Spine CT. sagittal view. 512x642 px. 9 vertebrae labeled in this scan
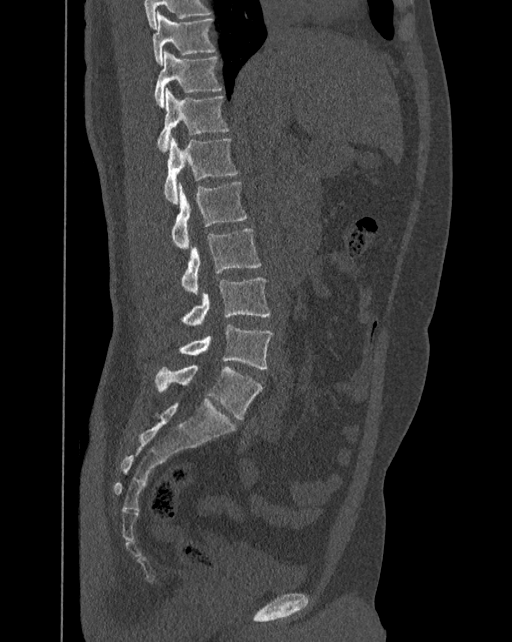
In these labels the spine has an L6, a sixth lumbar vertebra below L5.
<vertebrae><v name="T10" x1="153" y1="11" x2="216" y2="65"/><v name="T11" x1="154" y1="49" x2="221" y2="107"/><v name="T12" x1="157" y1="87" x2="229" y2="151"/><v name="L1" x1="163" y1="136" x2="238" y2="204"/><v name="L2" x1="171" y1="182" x2="247" y2="249"/><v name="L3" x1="181" y1="228" x2="261" y2="293"/><v name="L4" x1="181" y1="277" x2="271" y2="326"/><v name="L5" x1="179" y1="324" x2="273" y2="369"/><v name="L6" x1="155" y1="364" x2="263" y2="419"/></vertebrae>